CT · Sagittal slice 245/512 · image width 386 mm · Bone window (WL 400, WW 1800) · 512x842 px · scan covers 17 annotated vertebrae
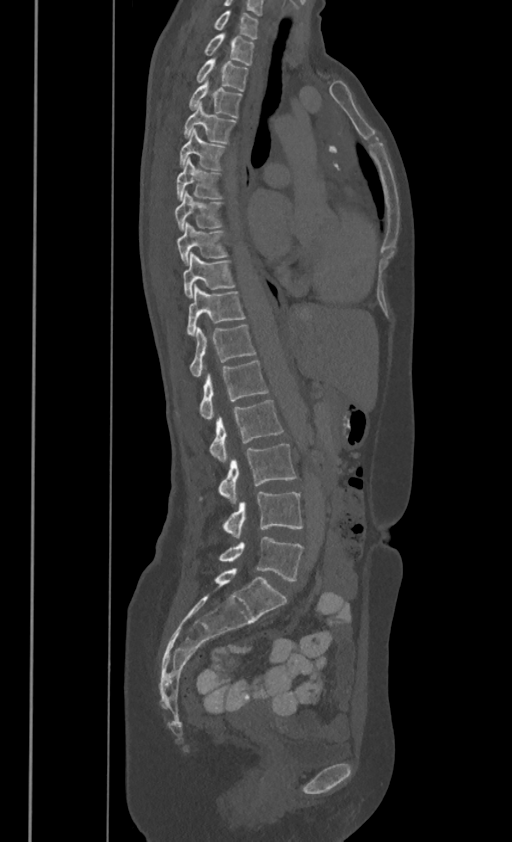

Boxes below are [x1, y1, x2, y2] in pixels.
In these labels the spine has no T12: the thoracic vertebrae end at T11, and L1 comes next.
{"vertebrae":{"C7":[213,8,257,38],"T1":[204,32,254,63],"T2":[196,58,248,90],"T3":[188,80,242,117],"T4":[183,101,236,142],"T5":[179,128,226,169],"T6":[176,158,223,198],"T7":[175,191,223,229],"T8":[178,221,228,264],"T9":[183,252,235,296],"T10":[186,285,244,334],"T11":[190,324,255,375],"L1":[176,359,268,418],"L2":[209,399,283,461],"L3":[199,444,296,503],"L4":[221,492,303,537],"L5":[219,537,303,580]}}